CT. 322 mm wide. sagittal view. W/L 1800/400 HU
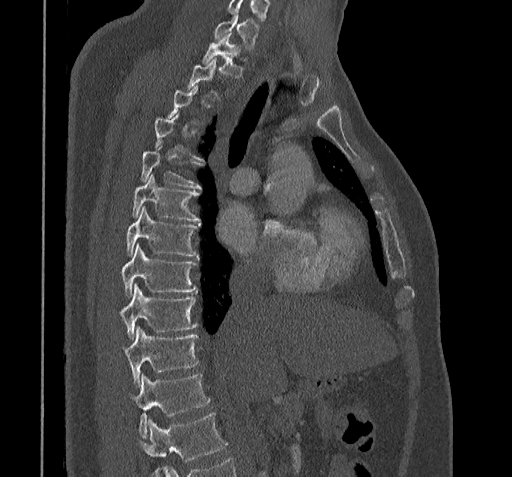
Not every vertebra on this slice has a box: a vertebra is boxed only from the first to the last slice where its cross-section is at least a third of its largest, and this slice is outside that range for at least one of them.
Where the bottom of the scan cuts through a vertebra, that vertebra gets no label or box.
<vertebrae><v name="C7" x1="213" y1="14" x2="258" y2="49"/><v name="T1" x1="201" y1="33" x2="244" y2="76"/><v name="T5" x1="140" y1="146" x2="201" y2="188"/><v name="T6" x1="132" y1="175" x2="199" y2="221"/><v name="T7" x1="127" y1="206" x2="197" y2="257"/><v name="T8" x1="121" y1="245" x2="197" y2="295"/><v name="T9" x1="121" y1="285" x2="197" y2="338"/><v name="T10" x1="125" y1="326" x2="197" y2="387"/><v name="T11" x1="133" y1="374" x2="210" y2="437"/></vertebrae>